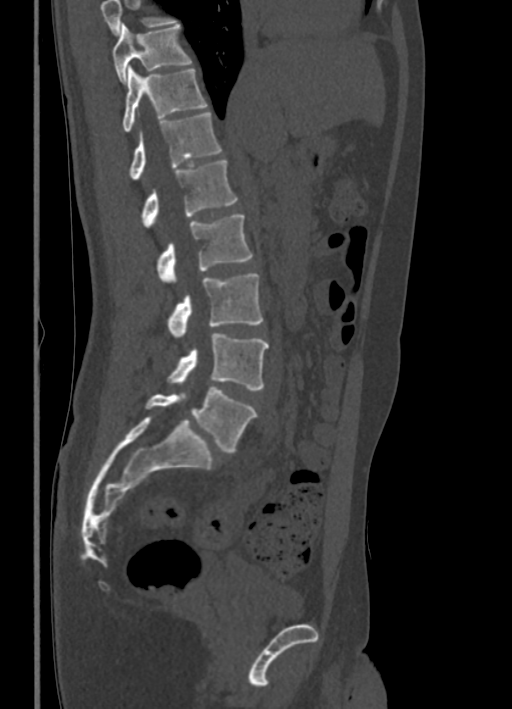
CT spine; sagittal view; 336 mm image width; 512x709 px

Boxes: x1:y1:x2:y2 in pixels.
No box is given to a vertebra that the top edge of the scan cuts off.
Vertebra bounding boxes:
- L5: 145:387:256:451
- L4: 167:334:269:390
- L3: 167:273:262:337
- L2: 157:215:252:282
- L1: 142:160:237:227
- T12: 129:112:221:178
- T11: 123:67:206:132
- T10: 113:23:191:83